CT spine. sagittal reformat. bone-window reconstruction. a region is masked with a constant gray value
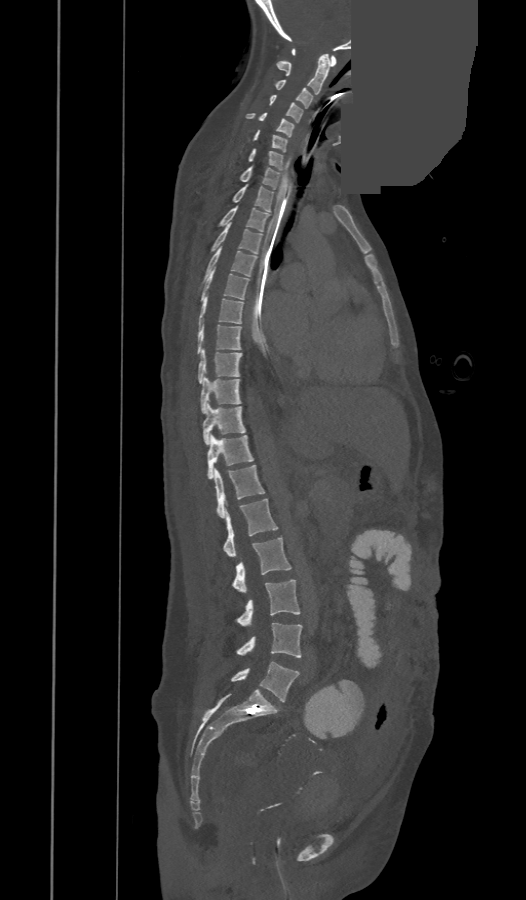
Bounding boxes as [x1, y1, x2, y2] in pixel coordinates.
The labels name an extra thoracic vertebra here, T13, which comes after T12 and before L1.
C1: [292, 49, 336, 66]
C2: [276, 54, 330, 94]
C3: [275, 80, 312, 108]
C4: [269, 95, 302, 122]
C5: [246, 112, 294, 137]
C6: [254, 130, 286, 151]
C7: [248, 149, 283, 170]
T1: [240, 167, 281, 189]
T2: [233, 186, 273, 211]
T3: [219, 206, 269, 231]
T4: [211, 223, 262, 254]
T5: [202, 247, 257, 283]
T6: [201, 268, 249, 300]
T7: [199, 293, 243, 327]
T8: [197, 323, 241, 354]
T9: [198, 349, 242, 383]
T10: [200, 377, 240, 412]
T11: [202, 403, 245, 445]
T12: [206, 435, 254, 479]
T13: [215, 465, 265, 518]
L1: [224, 499, 278, 556]
L2: [232, 538, 292, 592]
L3: [237, 579, 300, 626]
L4: [237, 622, 301, 657]
L5: [231, 661, 299, 701]